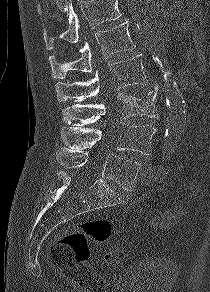

Computed tomography of the spine — sagittal view — image 210 mm wide — W/L 1800/400 HU — 210x292 px
Boxes: x1 y1 x2 y2 (pixel coords, space-separated). Vertebrae that run past the top of the scan are left unlabeled. 5 vertebrae labeled — L1 at 48 21 135 78; L2 at 55 54 147 101; L3 at 62 87 158 126; L4 at 61 122 155 155; L5 at 56 148 140 191.